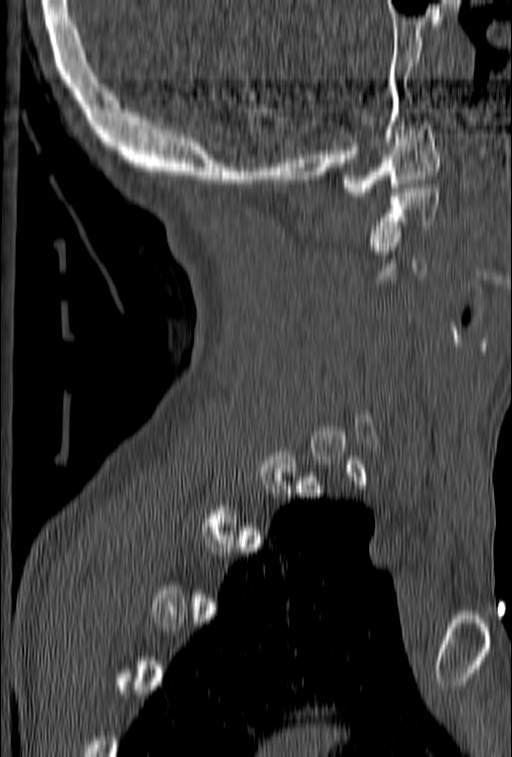

Spine CT; sagittal view
Boxes: x1:y1:x2:y2 in pixels.
Each vertebra is boxed only on the slices from the first to the last where its cross-section reaches a third of its largest, so a slice outside that range leaves it unboxed.
C1: 340:121:441:196
C2: 369:184:439:246